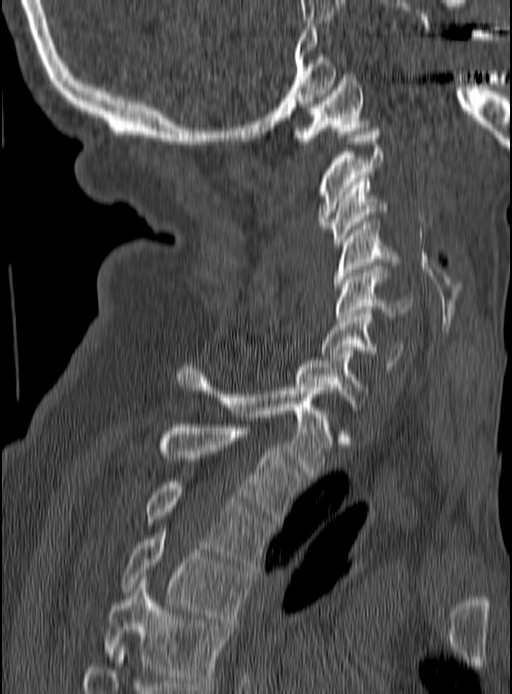
Spine computed tomography — sagittal reformat — bone-window reconstruction — the image spans 190 mm across. Boxes: x1 y1 x2 y2 (pixel coords, space-separated). Vertebrae labeled: T5 at 103 579 229 686, T4 at 122 525 250 622, T3 at 144 482 272 568, T2 at 157 424 302 521, T1 at 176 364 329 477, C7 at 295 350 369 407, C6 at 321 310 405 370, C5 at 335 266 413 322, C4 at 335 222 399 289, C3 at 327 175 388 245, C2 at 319 128 383 228, C1 at 291 74 372 144.